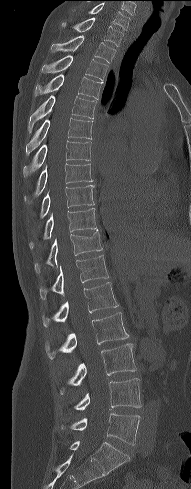
Spine CT; image width 191 mm; sagittal view
Each box given as x1,y1,x2,y2.
L5: x1=61, y1=413, x2=140, y2=445
L4: x1=74, y1=378, x2=141, y2=409
L3: x1=58, y1=343, x2=137, y2=394
L2: x1=45, y1=312, x2=128, y2=359
L1: x1=42, y1=282, x2=118, y2=327
T12: x1=40, y1=255, x2=108, y2=299
T11: x1=34, y1=229, x2=102, y2=272
T10: x1=29, y1=208, x2=97, y2=249
T9: x1=28, y1=185, x2=94, y2=225
T8: x1=24, y1=164, x2=92, y2=205
T7: x1=23, y1=141, x2=91, y2=178
T6: x1=25, y1=118, x2=92, y2=154
T5: x1=28, y1=95, x2=96, y2=132
T4: x1=33, y1=74, x2=101, y2=99
T3: x1=41, y1=55, x2=108, y2=80
T2: x1=50, y1=35, x2=116, y2=63
T1: x1=61, y1=17, x2=123, y2=46
C7: x1=89, y1=3, x2=129, y2=30